CT; sagittal plane, index 231
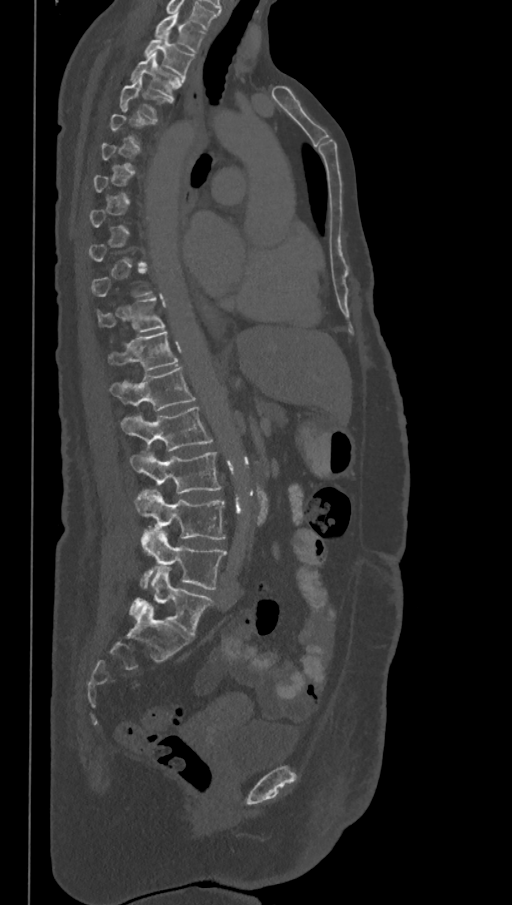
Boxes: x1 y1 x2 y2 (pixel coords, space-separated).
Not every vertebra on this slice has a box: a vertebra is boxed only from the first to the last slice where its cross-section is at least a third of its largest, and this slice is outside that range for at least one of them.
This scan's labels start at T1 at the top and end at L6 at the bottom.
These labels give the spine a sixth lumbar vertebra, L6, below L5.
Vertebra bounding boxes:
- L6: 129 567 214 638
- L5: 140 530 227 589
- L4: 136 490 226 539
- L3: 129 448 223 492
- L2: 121 407 212 451
- L1: 110 367 196 411
- T12: 107 331 178 372
- T11: 97 298 164 332
- T4: 119 78 174 119
- T3: 131 54 184 98
- T2: 143 33 194 77
- T1: 154 14 205 52